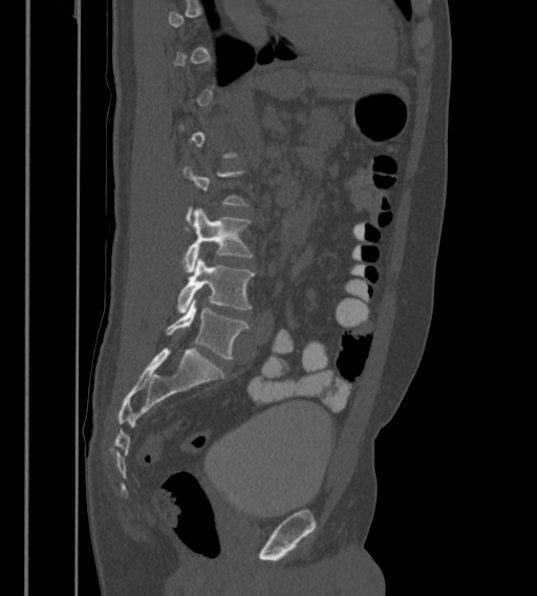 Computed tomography of the spine · image 430 mm wide · sagittal view. Each box given as x1,y1,x2,y2.
A vertebra is boxed only from the first to the last slice where its cross-section is at least a third of its largest; slices outside that range leave it without a box.
The labels name a sixth lumbar vertebra for this spine: L6, after L5.
| vertebra | x1 | y1 | x2 | y2 |
|---|---|---|---|---|
| L4 | 181 | 209 | 253 | 271 |
| L5 | 176 | 256 | 253 | 313 |
| L6 | 166 | 297 | 249 | 359 |